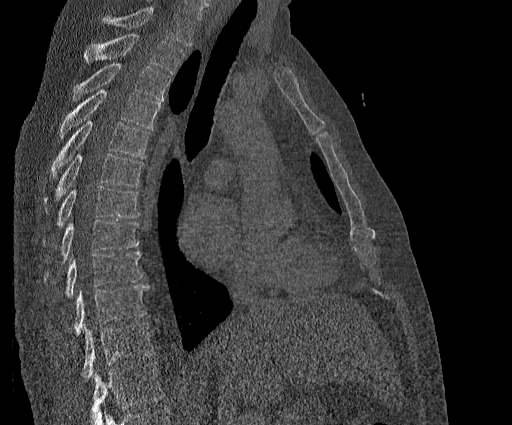
CT, spine — sagittal reformat — the image is 384 mm wide. Each row gives a vertebra's box as x1, y1, x2, y2 in pixels: top-left corner, then bottom-right corner.
Where the top of the scan cuts through a vertebra, that vertebra gets no label or box.
This scan's labels start at T2 at the top and end at T11 at the bottom.
| vertebra | x1 | y1 | x2 | y2 |
|---|---|---|---|---|
| T11 | 81 | 323 | 153 | 380 |
| T10 | 73 | 285 | 149 | 335 |
| T9 | 65 | 252 | 143 | 298 |
| T8 | 44 | 220 | 139 | 280 |
| T7 | 44 | 187 | 139 | 243 |
| T6 | 44 | 153 | 143 | 211 |
| T5 | 50 | 120 | 149 | 176 |
| T4 | 60 | 89 | 160 | 138 |
| T3 | 72 | 63 | 171 | 100 |
| T2 | 84 | 33 | 184 | 74 |